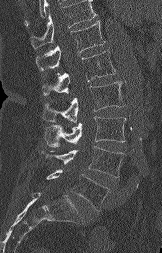

CT; sagittal view; 162x253 px
In the table, x1 and y1 are a box's top-left corner and x2 and y2 its bottom-right corner, in pixels.
Where the top of the scan cuts through a vertebra, that vertebra gets no label or box.
| vertebra | x1 | y1 | x2 | y2 |
|---|---|---|---|---|
| T12 | 36 | 20 | 105 | 71 |
| L1 | 42 | 51 | 115 | 96 |
| L2 | 42 | 81 | 124 | 123 |
| L3 | 45 | 116 | 126 | 147 |
| L4 | 41 | 146 | 124 | 177 |
| L5 | 47 | 169 | 109 | 210 |